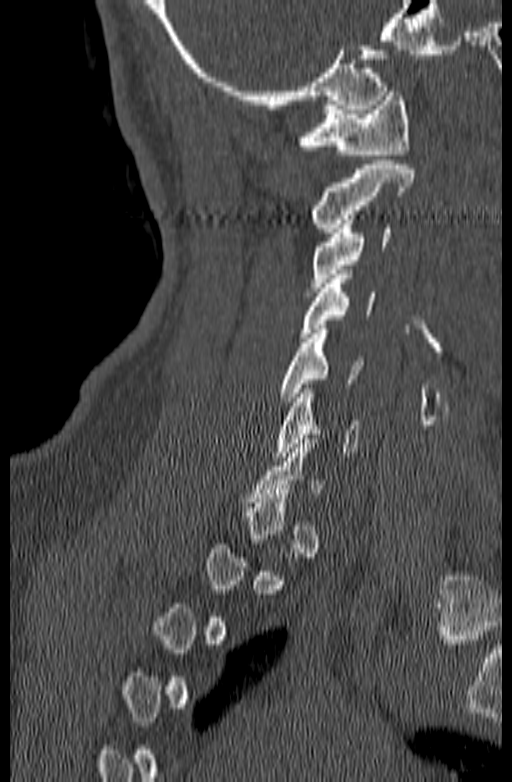

Spine CT; sagittal view; 512x782 px

Each box is [x1, y1, x2, y2] in pixels: top-left corner, then bottom-right corner.
Each vertebra is boxed only on the slices from the first to the last where its cross-section reaches a third of its largest, so a slice outside that range leaves it unboxed.
{"vertebrae":{"C1":[298,87,410,154],"C2":[311,160,413,232],"C3":[309,215,391,296],"C4":[298,274,374,342],"C5":[279,329,364,406],"C6":[275,389,360,461]}}